CT; sagittal reformat; 186x206 px
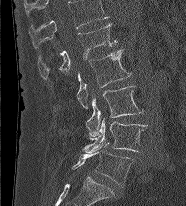
Bounding boxes as [x1, y1, x2, y2] in pixel coordinates. In this scan, the topmost labeled vertebra is L1 and the lowest is L5. The labeled vertebrae in this slice are: L1 at [38, 23, 116, 79], L2 at [77, 49, 131, 109], L3 at [86, 85, 143, 139], L4 at [83, 118, 147, 153], L5 at [72, 142, 133, 186].